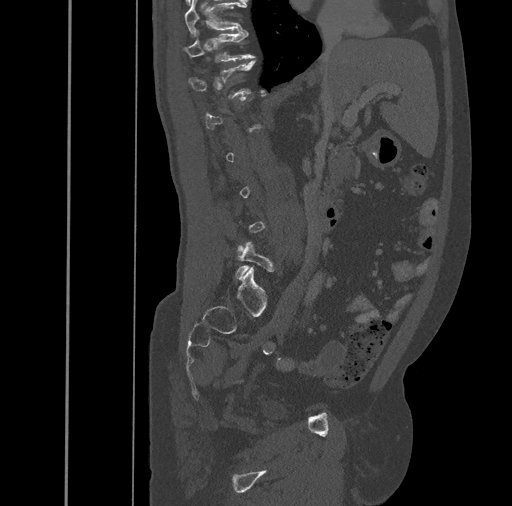

Spine computed tomography · sagittal reformat · W/L 1800/400 HU · 512x506 px · 461 mm image width
In the table, x1 and y1 are a box's top-left corner and x2 and y2 its bottom-right corner, in pixels.
A vertebra is boxed only from the first to the last slice where its cross-section is at least a third of its largest; slices outside that range leave it without a box.
| vertebra | x1 | y1 | x2 | y2 |
|---|---|---|---|---|
| T10 | 184 | 1 | 245 | 36 |
| T11 | 183 | 30 | 253 | 62 |
| L5 | 235 | 242 | 272 | 278 |